Computed tomography of the spine; sagittal plane, index 254; Bone window (WL 400, WW 1800); 363 mm wide; 512x612 px; scan covers 7 annotated vertebrae
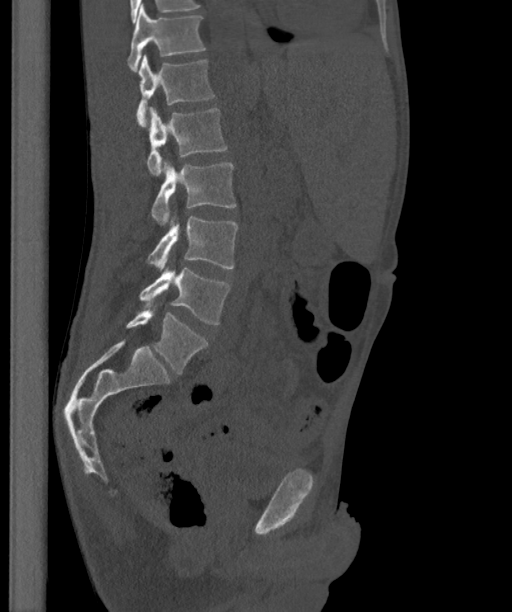

Boxes below are [x1, y1, x2, y2] in pixels.
These labels give the spine a sixth lumbar vertebra, L6, below L5.
{"vertebrae":{"T12":[128,4,206,71],"L1":[136,55,215,127],"L2":[146,107,227,175],"L3":[151,160,236,226],"L4":[146,216,237,271],"L5":[139,267,230,324],"L6":[126,307,208,373]}}